CT, spine · 409 mm across the image · Sagittal slice 263/512 · 10 vertebrae labeled in this scan
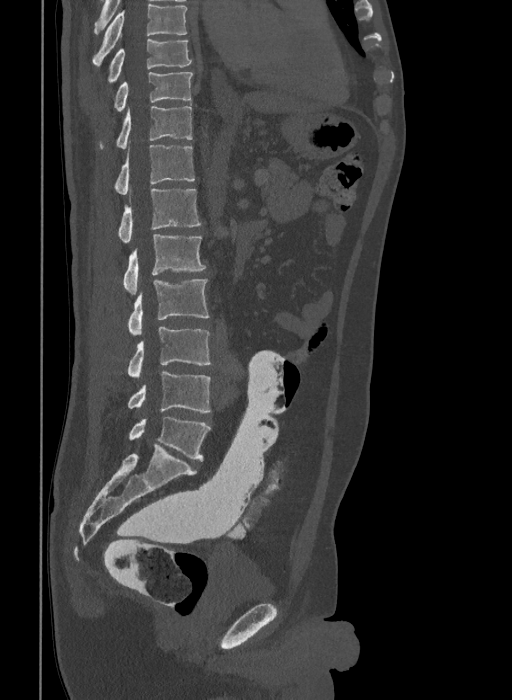 Bounding boxes as [x1, y1, x2, y2] in pixel coordinates.
This scan's labels start at T9 at the top and end at L6 at the bottom.
The labels name a sixth lumbar vertebra for this spine: L6, after L5.
L6: [129, 417, 210, 460]
L5: [128, 372, 210, 412]
L4: [128, 327, 210, 378]
L3: [128, 279, 209, 335]
L2: [123, 234, 205, 294]
L1: [118, 189, 200, 242]
T12: [114, 145, 194, 194]
T11: [100, 106, 192, 148]
T10: [114, 71, 193, 112]
T9: [108, 38, 192, 82]